Spine computed tomography — Sagittal slice 265/512 — Bone window (WL 400, WW 1800)
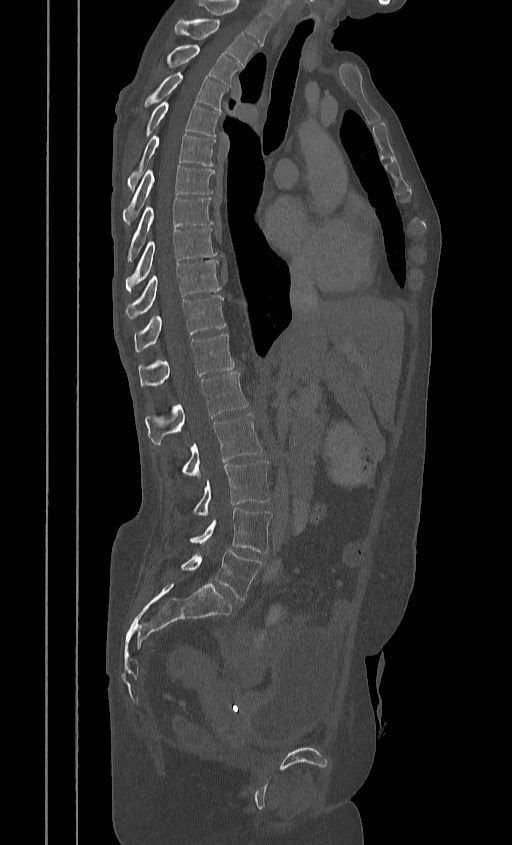
Each box is [x1, y1, x2, y2] in pixels: top-left corner, then bottom-right corner.
The highest labeled vertebra in this scan is T2; the lowest is L5.
{"vertebrae":{"T2":[174,19,256,66],"T3":[164,45,240,87],"T4":[144,72,228,111],"T5":[142,101,220,136],"T6":[128,135,215,190],"T7":[122,165,213,224],"T8":[126,197,213,260],"T9":[125,228,216,291],"T10":[125,260,220,319],"T11":[134,295,225,351],"T12":[138,333,235,387],"L1":[145,372,248,444],"L2":[182,413,263,478],"L3":[193,460,271,516],"L4":[189,508,272,552],"L5":[181,549,261,600]}}